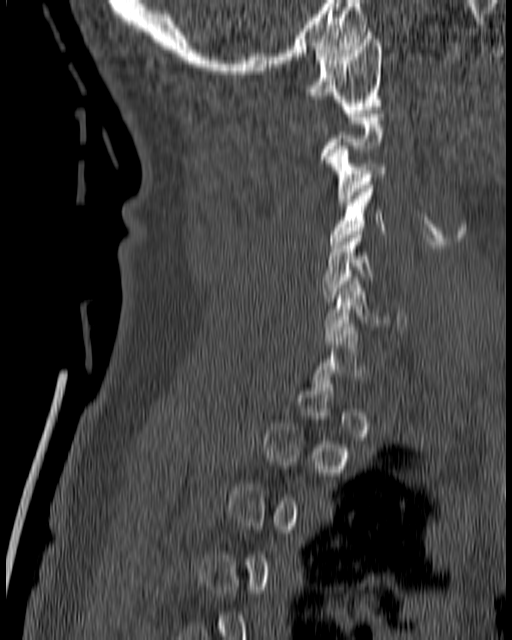 CT — sagittal view — 180 mm across the image
Box edges are left/top/right/bottom in pixels.
Not every vertebra on this slice has a box: a vertebra is boxed only from the first to the last slice where its cross-section is at least a third of its largest, and this slice is outside that range for at least one of them.
C1: left=303, top=32, right=382, bottom=109
C3: left=322, top=146, right=387, bottom=205
C4: left=330, top=178, right=387, bottom=244
C5: left=321, top=231, right=373, bottom=301
C6: left=323, top=277, right=406, bottom=337